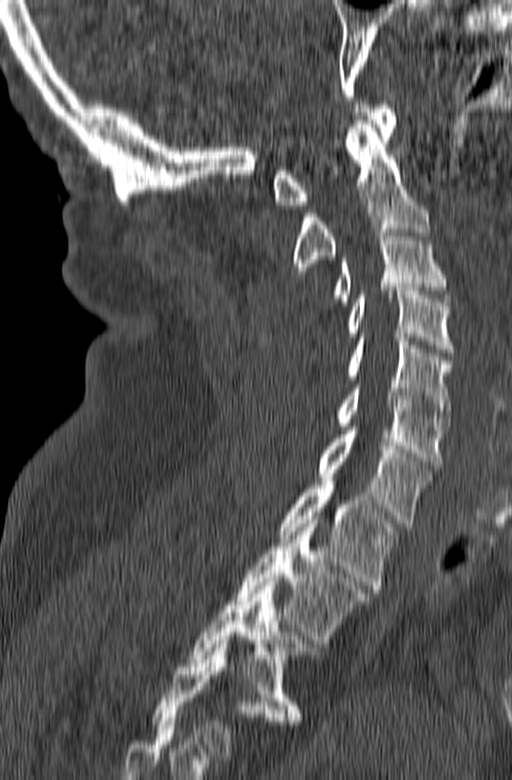 Spine CT · sagittal view
Labels in this scan begin with C1 at the top and end with T3 at the bottom.
<vertebrae><v name="C1" x1="273" y1="101" x2="396" y2="208"/><v name="C2" x1="293" y1="120" x2="430" y2="274"/><v name="C3" x1="333" y1="229" x2="448" y2="305"/><v name="C4" x1="345" y1="287" x2="453" y2="352"/><v name="C5" x1="349" y1="337" x2="451" y2="418"/><v name="C6" x1="336" y1="384" x2="450" y2="468"/><v name="C7" x1="318" y1="427" x2="431" y2="527"/><v name="T1" x1="280" y1="481" x2="400" y2="592"/><v name="T2" x1="236" y1="520" x2="369" y2="643"/><v name="T3" x1="188" y1="578" x2="321" y2="720"/></vertebrae>